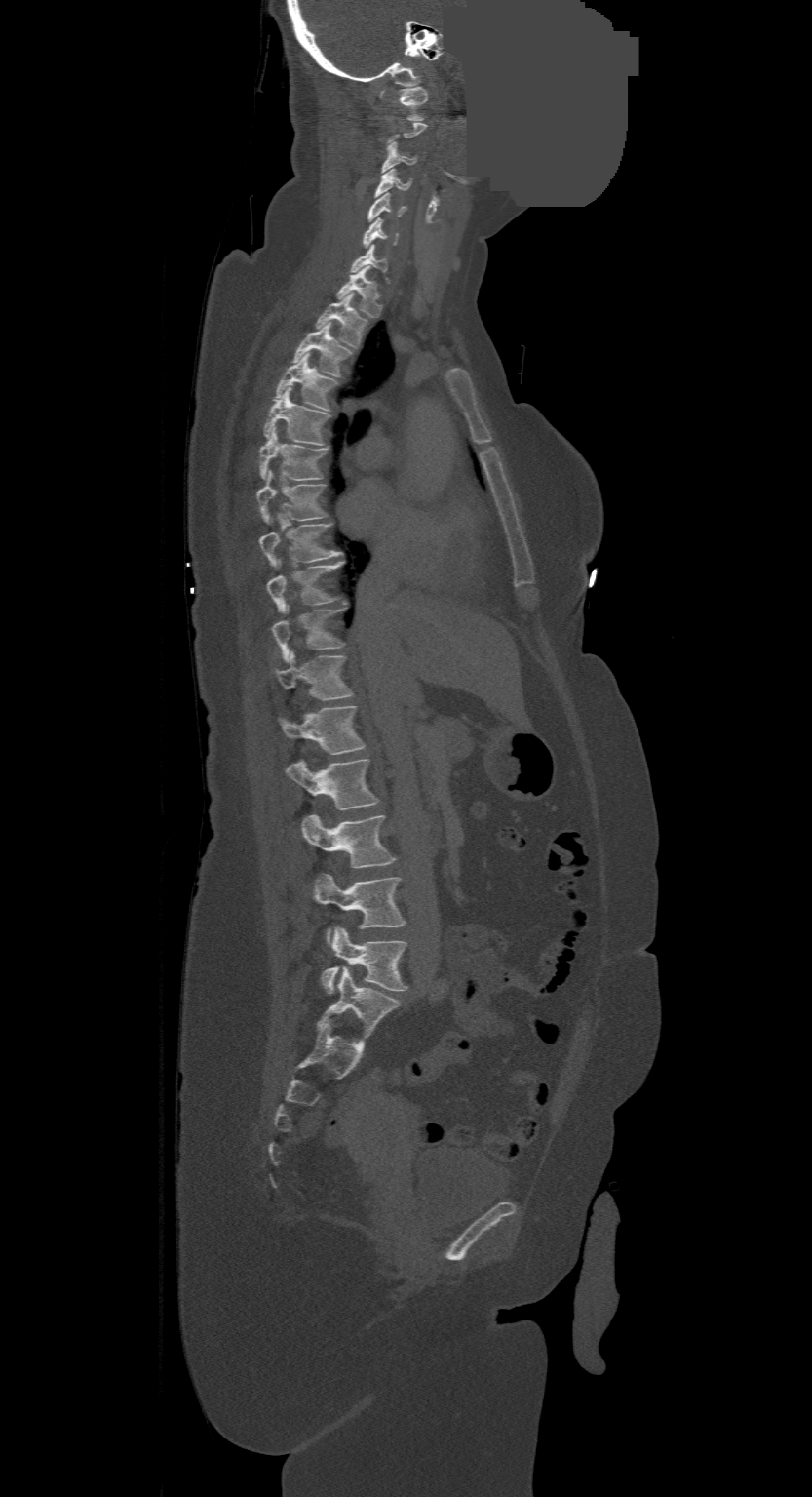
CT, spine. sagittal view. bone window. 812x1497 px. image 500 mm wide. an area of the scan was removed and filled with constant pixels
Not every vertebra on this slice has a box: a vertebra is boxed only from the first to the last slice where its cross-section is at least a third of its largest, and this slice is outside that range for at least one of them.
In this scan, the topmost labeled vertebra is C1 and the lowest is L4.
<vertebrae><v name="L4" x1="321" y1="926" x2="406" y2="993"/><v name="L3" x1="314" y1="875" x2="406" y2="944"/><v name="L2" x1="300" y1="814" x2="396" y2="867"/><v name="L1" x1="286" y1="760" x2="380" y2="810"/><v name="T12" x1="278" y1="706" x2="364" y2="754"/><v name="T11" x1="276" y1="652" x2="353" y2="700"/><v name="T10" x1="271" y1="605" x2="345" y2="661"/><v name="T9" x1="266" y1="560" x2="343" y2="612"/><v name="T8" x1="260" y1="519" x2="342" y2="567"/><v name="T7" x1="257" y1="470" x2="328" y2="523"/><v name="T6" x1="260" y1="431" x2="328" y2="481"/><v name="T5" x1="263" y1="387" x2="330" y2="445"/><v name="T4" x1="273" y1="353" x2="337" y2="411"/><v name="T3" x1="291" y1="324" x2="351" y2="376"/><v name="T2" x1="316" y1="293" x2="367" y2="347"/><v name="T1" x1="336" y1="267" x2="383" y2="316"/><v name="C7" x1="351" y1="244" x2="389" y2="281"/><v name="C6" x1="362" y1="218" x2="398" y2="247"/><v name="C5" x1="367" y1="194" x2="406" y2="222"/><v name="C4" x1="376" y1="170" x2="411" y2="198"/><v name="C3" x1="382" y1="143" x2="416" y2="172"/><v name="C1" x1="400" y1="87" x2="427" y2="120"/></vertebrae>